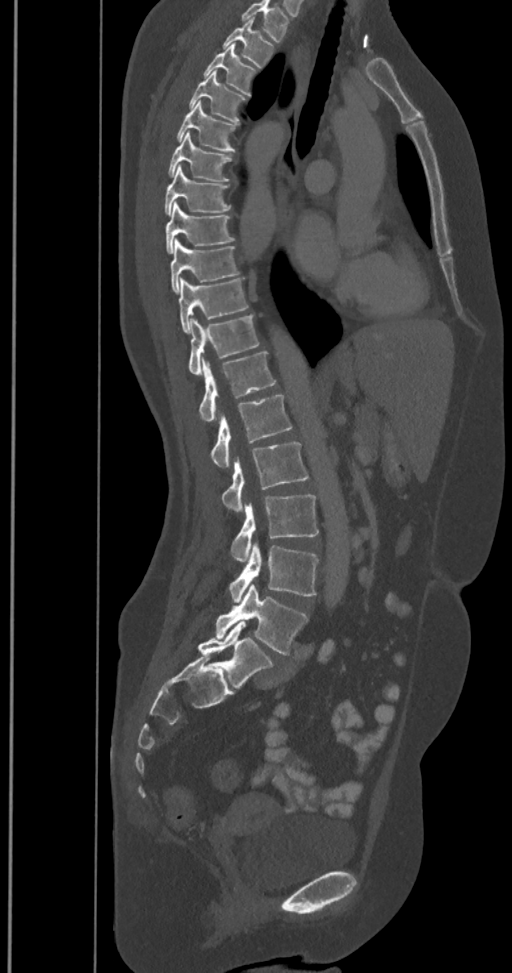

Spine computed tomography. sagittal reformat. Bone window (WL 400, WW 1800). 512x973 px. Box edges are left/top/right/bottom in pixels.
In this scan, the topmost labeled vertebra is T2 and the lowest is L6.
In these labels the spine has an L6, a sixth lumbar vertebra below L5.
Vertebra bounding boxes:
- T2: left=224, top=18, right=274, bottom=66
- T3: left=203, top=45, right=256, bottom=96
- T4: left=188, top=71, right=246, bottom=124
- T5: left=177, top=101, right=236, bottom=152
- T6: left=168, top=132, right=231, bottom=181
- T7: left=164, top=166, right=230, bottom=215
- T8: left=165, top=203, right=234, bottom=252
- T9: left=169, top=238, right=239, bottom=293
- T10: left=178, top=278, right=247, bottom=333
- T11: left=188, top=315, right=259, bottom=376
- T12: left=199, top=352, right=275, bottom=422
- L1: left=210, top=394, right=291, bottom=468
- L2: left=222, top=442, right=307, bottom=512
- L3: left=231, top=495, right=319, bottom=561
- L4: left=229, top=541, right=318, bottom=602
- L5: left=215, top=585, right=307, bottom=655
- L6: left=197, top=621, right=274, bottom=689